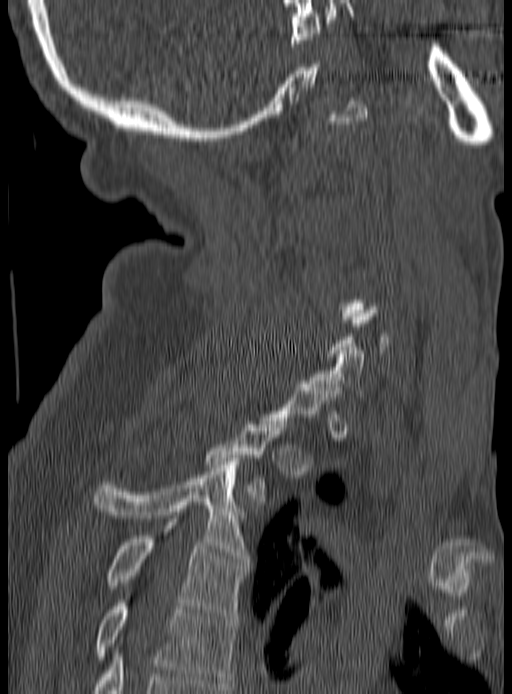

CT — sagittal view — bone window
Coordinates as <box>x1,y1,x2,y2</box>. A vertebra is boxed only from the first to the last slice where its cross-section is at least a third of its largest; slices outside that range leave it without a box. The labeled vertebrae in this slice are: T5 at <box>95,600,237,686</box>, T4 at <box>106,522,248,619</box>, T3 at <box>95,458,248,562</box>, T2 at <box>206,418,287,504</box>, C7 at <box>311,344,365,396</box>.